Computed tomography of the spine; sagittal view; bone window
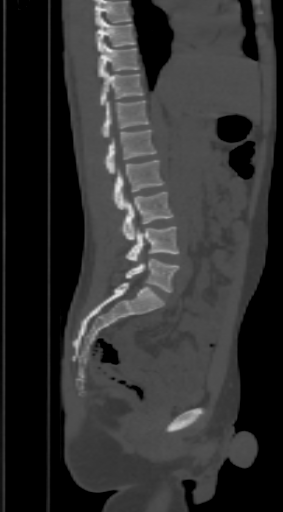

Boxes below are [x1, y1, x2, y2] in pixels.
A vertebra cut off by the top edge of the scan is not labeled and has no box.
{"vertebrae":{"T9":[95,17,136,51],"T10":[98,43,139,77],"T11":[101,71,145,105],"T12":[101,101,150,137],"L1":[104,129,156,174],"L2":[112,160,164,209],"L3":[120,192,173,240],"L4":[126,226,178,260],"L5":[126,258,178,292]}}